Spine CT; sagittal view; scan covers 17 annotated vertebrae
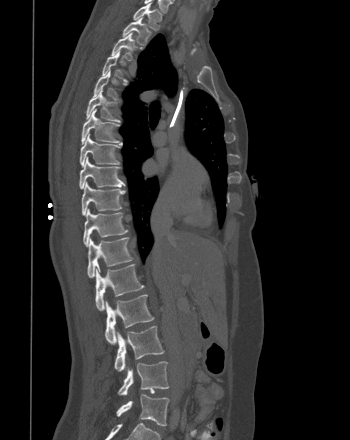
<vertebrae><v name="L5" x1="116" y1="394" x2="169" y2="426"/><v name="L4" x1="118" y1="361" x2="168" y2="395"/><v name="L3" x1="114" y1="326" x2="164" y2="371"/><v name="L2" x1="105" y1="294" x2="154" y2="344"/><v name="L1" x1="95" y1="264" x2="144" y2="310"/><v name="T12" x1="87" y1="237" x2="133" y2="277"/><v name="T11" x1="83" y1="208" x2="127" y2="246"/><v name="T10" x1="81" y1="181" x2="125" y2="215"/><v name="T9" x1="79" y1="156" x2="124" y2="189"/><v name="T8" x1="79" y1="132" x2="119" y2="166"/><v name="T7" x1="81" y1="109" x2="118" y2="144"/><v name="T6" x1="86" y1="88" x2="119" y2="121"/><v name="T5" x1="93" y1="69" x2="125" y2="99"/><v name="T4" x1="102" y1="51" x2="125" y2="80"/><v name="T3" x1="111" y1="32" x2="141" y2="60"/><v name="T2" x1="122" y1="17" x2="151" y2="45"/><v name="T1" x1="133" y1="3" x2="162" y2="30"/></vertebrae>